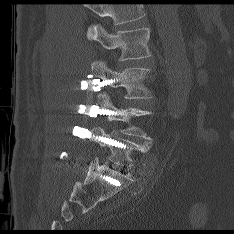

CT spine. the image spans 234 mm across. sagittal view. 234x234 px
Each row gives a vertebra's box as x1, y1, x2, y2 in pixels: top-left corner, then bottom-right corner.
A vertebra cut off by the top edge of the scan is not labeled and has no box.
| vertebra | x1 | y1 | x2 | y2 |
|---|---|---|---|---|
| L5 | 90 | 127 | 151 | 168 |
| L4 | 96 | 93 | 151 | 140 |
| L3 | 91 | 61 | 151 | 98 |
| L2 | 93 | 24 | 151 | 60 |